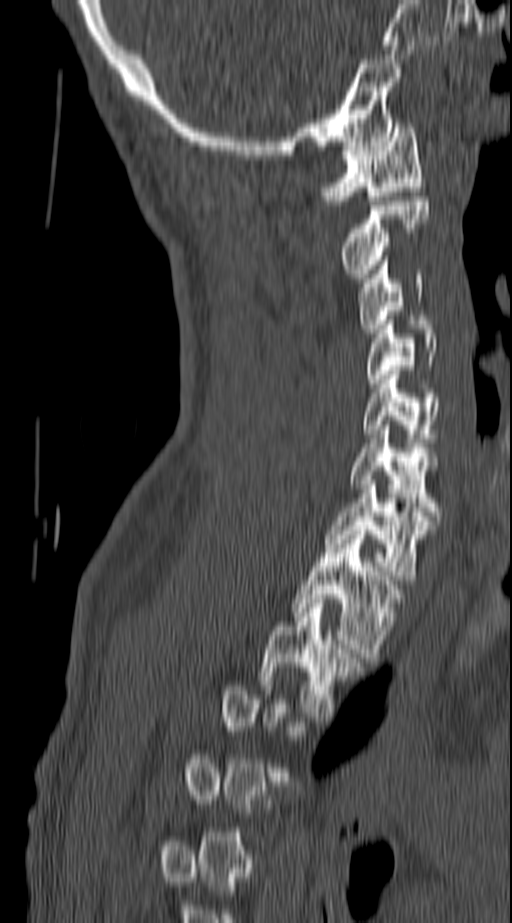

CT spine; sagittal view; 140 mm across the image; bone-window reconstruction

Each box is [x1, y1, x2, y2] in pixels: top-left corner, then bottom-right corner.
Not every vertebra on this slice has a box: a vertebra is boxed only from the first to the last slice where its cross-section is at least a third of its largest, and this slice is outside that range for at least one of them.
{"vertebrae":{"C1":[323,123,425,200],"C2":[341,197,428,278],"C3":[357,256,421,333],"C4":[367,320,436,383],"C5":[363,370,439,442],"C6":[349,425,439,516],"C7":[327,480,432,580],"T1":[294,530,399,657],"T2":[260,599,362,721]}}